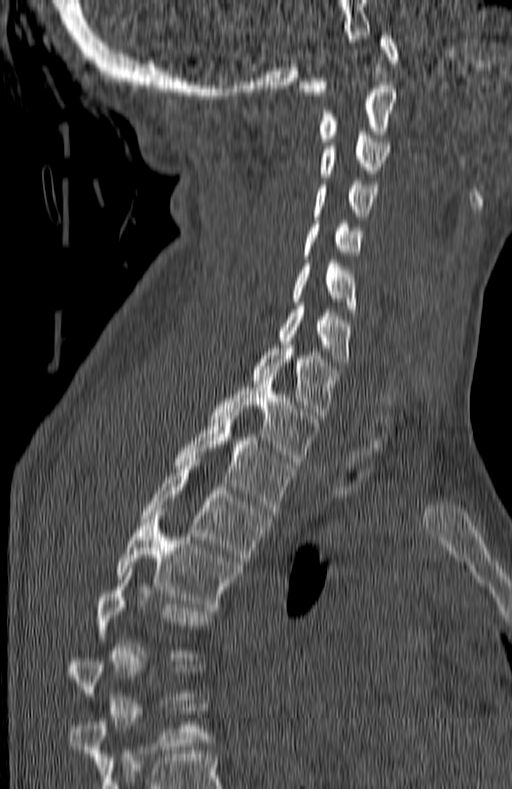 Spine computed tomography · sagittal view · the image is 180 mm wide · bone-window reconstruction
Each vertebra maps to its box as [x1, y1, x2, y2], the pixel coordinates of its top-left and bottom-right corners.
Not every vertebra on this slice has a box: a vertebra is boxed only from the first to the last slice where its cross-section is at least a third of its largest, and this slice is outside that range for at least one of them.
{"vertebrae":{"C1":[299,32,398,95],"C2":[319,85,395,141],"C3":[319,132,390,177],"C4":[314,181,376,219],"C5":[302,220,361,259],"C6":[291,260,358,312],"C7":[277,306,353,365],"T1":[251,341,338,419],"T2":[211,380,318,465],"T3":[174,412,293,515],"T4":[140,459,270,561],"T5":[115,512,239,611],"T6":[98,569,210,657]}}